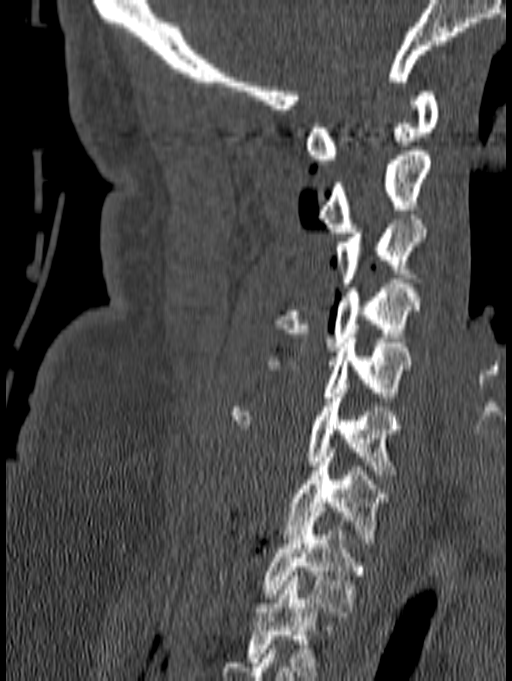

CT spine · sagittal view · 512x681 px. Boxes are given in columns x1, y1, x2, y2, the pixel coordinates of their top-left and bottom-right corners.
This scan's labels start at C1 at the top and end at T1 at the bottom.
| vertebra | x1 | y1 | x2 | y2 |
|---|---|---|---|---|
| C1 | 305 | 91 | 439 | 164 |
| C2 | 318 | 151 | 430 | 232 |
| C3 | 285 | 215 | 426 | 287 |
| C4 | 273 | 279 | 420 | 351 |
| C5 | 259 | 338 | 410 | 401 |
| C6 | 231 | 389 | 402 | 474 |
| C7 | 285 | 448 | 388 | 543 |
| T1 | 262 | 512 | 366 | 612 |